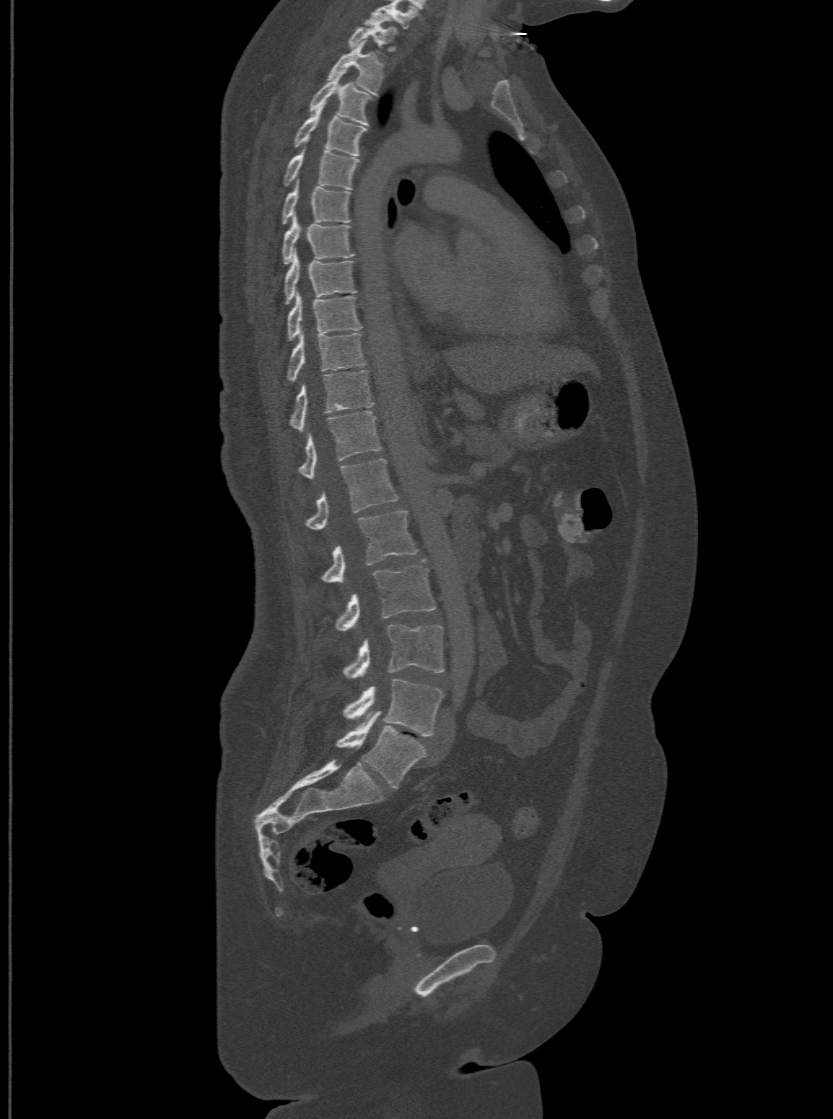 Computed tomography of the spine · sagittal view · bone-window reconstruction. Boxes: x1:y1:x2:y2 in pixels.
This scan's labels start at T1 at the top and end at L6 at the bottom.
These labels give the spine a sixth lumbar vertebra, L6, below L5.
Vertebra bounding boxes:
- T1: 348:20:396:52
- T2: 329:42:385:94
- T3: 308:72:370:124
- T4: 293:105:365:154
- T5: 283:148:359:187
- T6: 282:185:351:222
- T7: 282:215:354:262
- T8: 283:252:355:302
- T9: 286:293:362:339
- T10: 286:332:365:382
- T11: 288:368:372:431
- T12: 298:410:380:477
- L1: 304:457:398:527
- L2: 321:508:417:582
- L3: 335:563:435:630
- L4: 342:624:443:678
- L5: 343:679:443:735
- L6: 337:713:425:788